Spine computed tomography — sagittal view — bone window
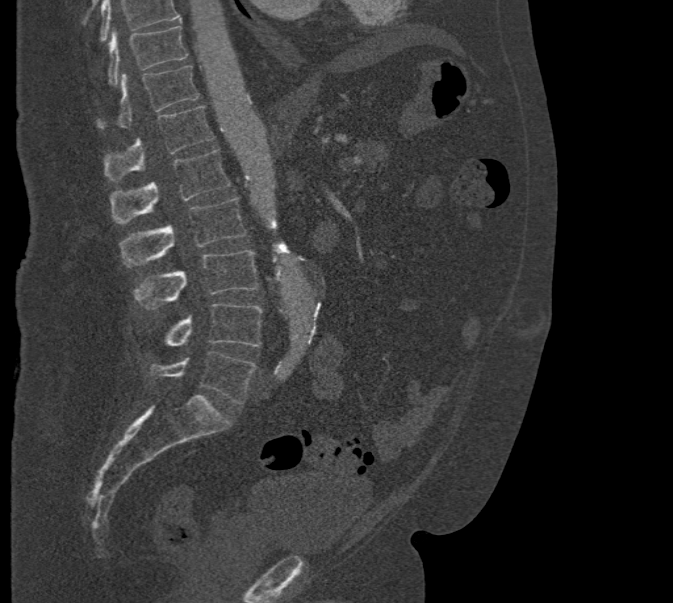
Boxes: x1:y1:x2:y2 in pixels.
No box is given to a vertebra that the top edge of the scan cuts off.
T10: 106:26:187:84
T11: 97:65:199:128
T12: 104:106:213:181
L1: 110:149:230:222
L2: 120:198:246:265
L3: 133:249:258:309
L4: 164:303:262:347
L5: 150:352:257:404